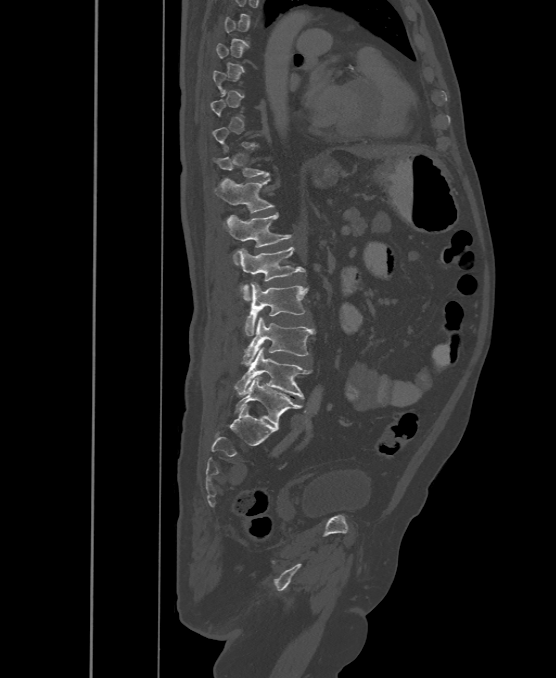
CT spine. sagittal view. Bone window (WL 400, WW 1800). 556x678 px
Boxes: x1 y1 x2 y2 (pixel coords, space-separated).
A vertebra is boxed only from the first to the last slice where its cross-section is at least a third of its largest; slices outside that range leave it without a box.
In these labels the spine has an L6, a sixth lumbar vertebra below L5.
Vertebra bounding boxes:
- T12: 215 178 274 213
- L1: 224 212 291 264
- L2: 237 247 305 300
- L3: 244 283 308 335
- L4: 240 317 315 365
- L5: 234 347 310 398
- L6: 235 376 302 425